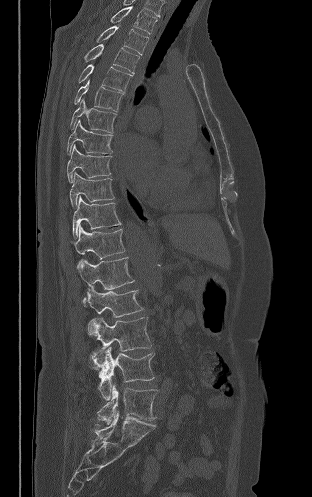
CT spine · the image spans 312 mm across · sagittal view · 312x497 px
Boxes are given in columns x1, y1, x2, y2, the pixel coordinates of their top-left and bottom-right corners.
| vertebra | x1 | y1 | x2 | y2 |
|---|---|---|---|---|
| T2 | 111 | 6 | 157 | 33 |
| T3 | 97 | 26 | 148 | 55 |
| T4 | 84 | 44 | 139 | 73 |
| T5 | 78 | 64 | 132 | 92 |
| T6 | 74 | 80 | 124 | 111 |
| T7 | 70 | 98 | 116 | 133 |
| T8 | 67 | 120 | 112 | 154 |
| T9 | 67 | 144 | 111 | 182 |
| T10 | 69 | 172 | 114 | 206 |
| T11 | 73 | 196 | 121 | 237 |
| T12 | 71 | 224 | 125 | 259 |
| L1 | 77 | 257 | 134 | 303 |
| L2 | 83 | 286 | 143 | 317 |
| L3 | 88 | 317 | 151 | 351 |
| L4 | 90 | 347 | 154 | 400 |
| L5 | 97 | 384 | 157 | 424 |